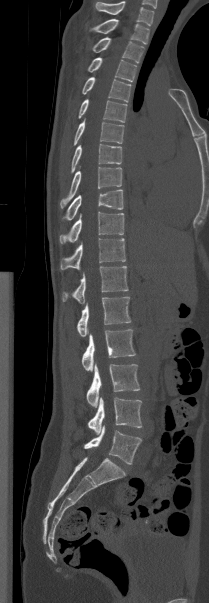 CT spine. sagittal reformat. 209 mm wide. bone window. 209x603 px
Labels in this scan begin with T1 at the top and end with L5 at the bottom.
<vertebrae><v name="L5" x1="84" y1="425" x2="141" y2="464"/><v name="L4" x1="87" y1="397" x2="142" y2="434"/><v name="L3" x1="86" y1="363" x2="140" y2="407"/><v name="L2" x1="81" y1="329" x2="135" y2="371"/><v name="L1" x1="76" y1="297" x2="131" y2="336"/><v name="T12" x1="62" y1="266" x2="128" y2="303"/><v name="T11" x1="60" y1="238" x2="125" y2="269"/><v name="T10" x1="59" y1="212" x2="123" y2="243"/><v name="T9" x1="64" y1="189" x2="123" y2="220"/><v name="T8" x1="60" y1="167" x2="121" y2="207"/><v name="T7" x1="71" y1="144" x2="121" y2="172"/><v name="T6" x1="74" y1="119" x2="124" y2="145"/><v name="T5" x1="78" y1="99" x2="127" y2="122"/><v name="T4" x1="82" y1="77" x2="131" y2="102"/><v name="T3" x1="88" y1="57" x2="136" y2="81"/><v name="T2" x1="92" y1="37" x2="143" y2="63"/><v name="T1" x1="89" y1="19" x2="149" y2="44"/></vertebrae>